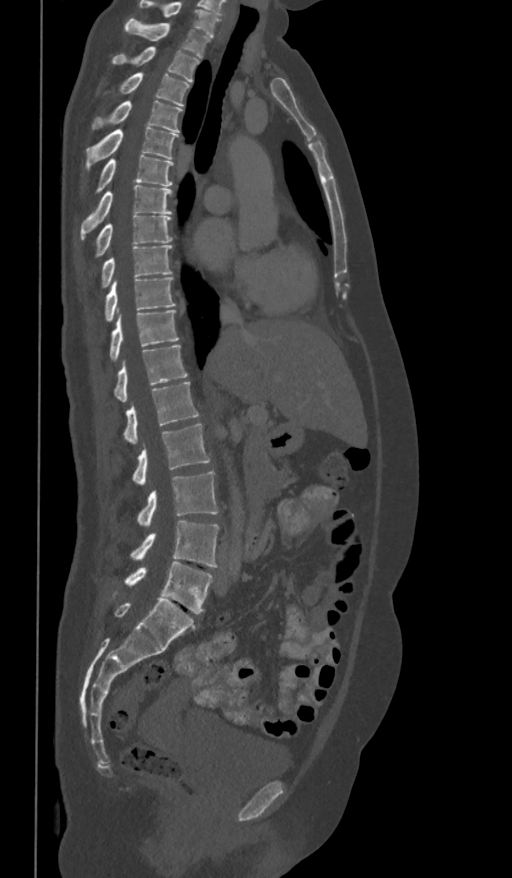 CT, spine · sagittal view · bone-window reconstruction · 512x878 px · 361 mm wide. In the table, x1 and y1 are a box's top-left corner and x2 and y2 its bottom-right corner, in pixels.
Labels in this scan begin with T1 at the top and end with L5 at the bottom.
| vertebra | x1 | y1 | x2 | y2 |
|---|---|---|---|---|
| T1 | 125 | 19 | 210 | 58 |
| T2 | 112 | 47 | 199 | 82 |
| T3 | 119 | 73 | 190 | 106 |
| T4 | 92 | 101 | 182 | 132 |
| T5 | 85 | 126 | 177 | 170 |
| T6 | 96 | 154 | 173 | 192 |
| T7 | 81 | 185 | 172 | 239 |
| T8 | 95 | 214 | 172 | 258 |
| T9 | 102 | 246 | 172 | 287 |
| T10 | 105 | 277 | 176 | 322 |
| T11 | 109 | 310 | 179 | 360 |
| T12 | 115 | 345 | 187 | 401 |
| L1 | 125 | 382 | 199 | 443 |
| L2 | 133 | 423 | 210 | 485 |
| L3 | 137 | 471 | 219 | 527 |
| L4 | 130 | 521 | 219 | 567 |
| L5 | 125 | 562 | 213 | 613 |